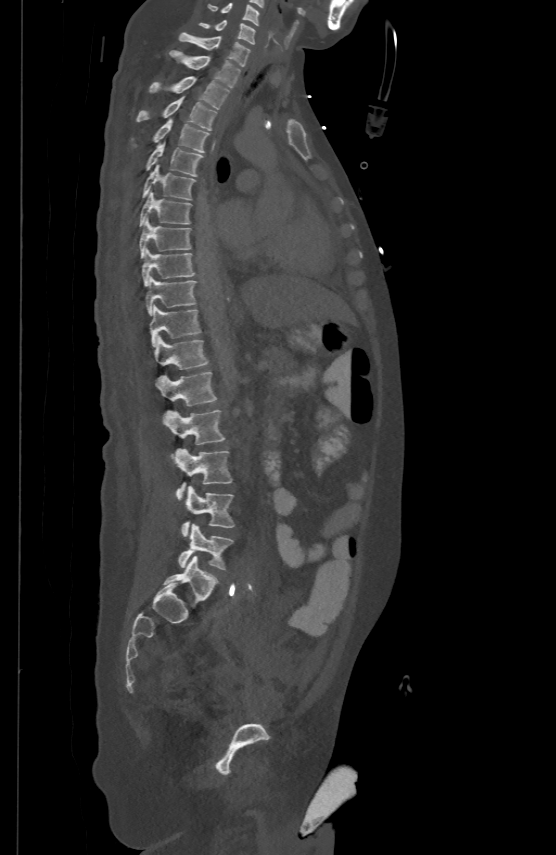

Spine CT. image width 500 mm. sagittal view. W/L 1800/400 HU. 556x855 px
Each box given as x1,y1,x2,y2.
| vertebra | x1 | y1 | x2 | y2 |
|---|---|---|---|---|
| C5 | 207 | 2 | 259 | 24 |
| C6 | 199 | 19 | 255 | 43 |
| C7 | 179 | 31 | 250 | 65 |
| T1 | 169 | 50 | 240 | 86 |
| T2 | 149 | 75 | 229 | 108 |
| T3 | 137 | 95 | 217 | 129 |
| T4 | 131 | 117 | 210 | 151 |
| T5 | 145 | 141 | 202 | 176 |
| T6 | 142 | 164 | 194 | 199 |
| T7 | 139 | 191 | 191 | 225 |
| T8 | 139 | 217 | 191 | 256 |
| T9 | 142 | 247 | 194 | 285 |
| T10 | 145 | 276 | 195 | 314 |
| T11 | 150 | 305 | 200 | 345 |
| T12 | 154 | 336 | 207 | 369 |
| L1 | 157 | 371 | 216 | 404 |
| L2 | 164 | 409 | 225 | 456 |
| L3 | 176 | 448 | 231 | 500 |
| L4 | 181 | 486 | 234 | 536 |
| L5 | 178 | 524 | 233 | 570 |